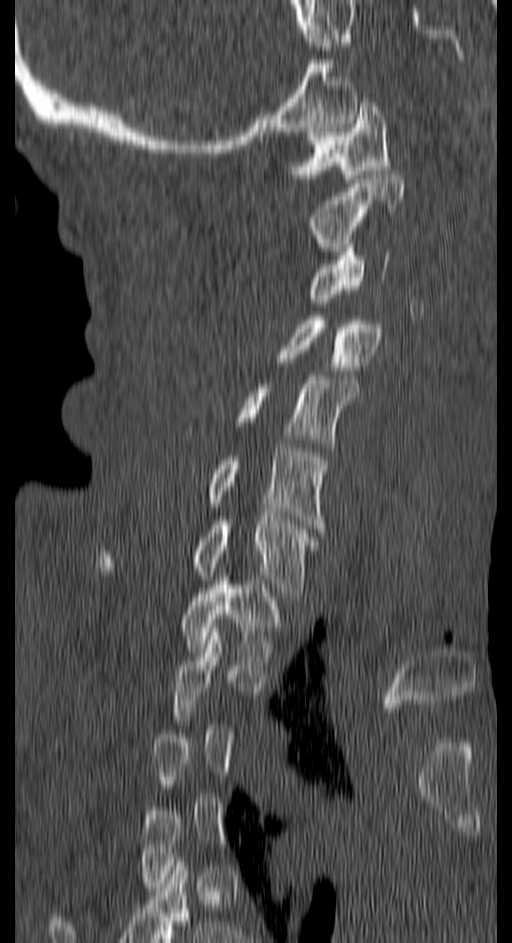 Spine CT · the image spans 150 mm across · sagittal view

A vertebra gets a box only on the slices from the first to the last where its cross-section is at least a third of its largest; on a slice outside that range it gets none.
<vertebrae><v name="T1" x1="179" y1="576" x2="284" y2="665"/><v name="C7" x1="97" y1="516" x2="318" y2="592"/><v name="C6" x1="121" y1="448" x2="328" y2="532"/><v name="C5" x1="186" y1="375" x2="359" y2="451"/><v name="C4" x1="274" y1="316" x2="383" y2="370"/><v name="C3" x1="305" y1="247" x2="389" y2="302"/><v name="C2" x1="305" y1="175" x2="403" y2="251"/><v name="C1" x1="288" y1="98" x2="389" y2="182"/></vertebrae>